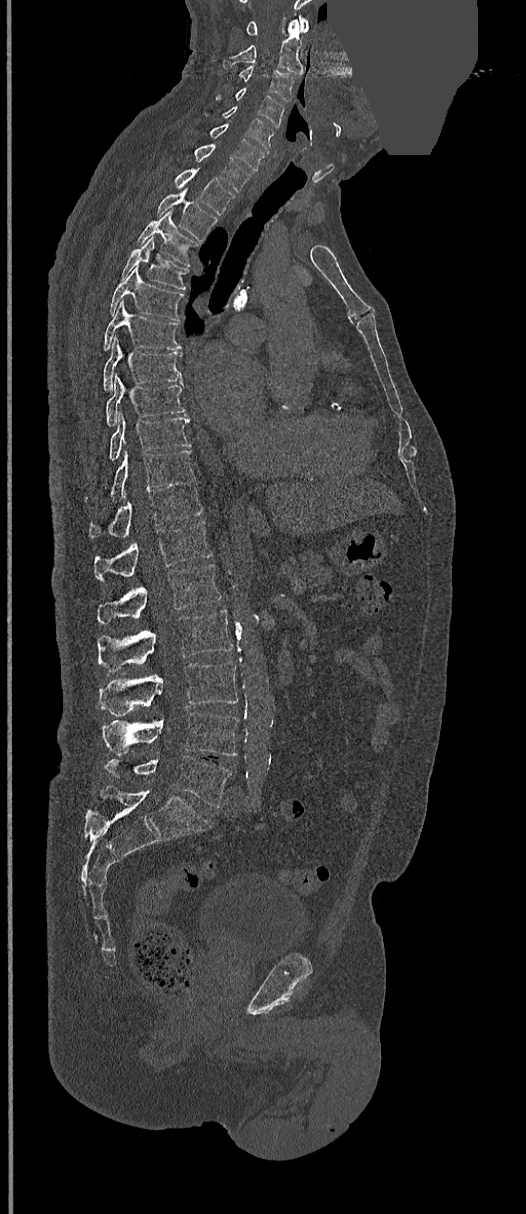 CT. sagittal reformat. the image spans 368 mm across. a region is masked with a constant gray value
Coordinates as <box>x1,y1,x2,y2</box>.
Vertebra bounding boxes:
- C1: <box>245,16,309,35</box>
- C2: <box>223,19,303,76</box>
- C3: <box>238,66,293,102</box>
- C4: <box>215,87,284,126</box>
- C5: <box>206,106,274,150</box>
- C6: <box>208,123,267,170</box>
- C7: <box>193,144,253,192</box>
- T1: <box>175,169,234,213</box>
- T2: <box>156,184,218,242</box>
- T3: <box>137,209,199,266</box>
- T4: <box>120,237,189,289</box>
- T5: <box>110,266,183,320</box>
- T6: <box>103,301,180,350</box>
- T7: <box>103,339,182,390</box>
- T8: <box>106,376,186,426</box>
- T9: <box>109,413,190,460</box>
- T10: <box>84,450,194,502</box>
- T11: <box>88,480,201,538</box>
- T12: <box>94,521,212,582</box>
- L1: <box>97,564,220,623</box>
- L2: <box>97,610,232,672</box>
- L3: <box>100,661,237,716</box>
- L4: <box>103,711,237,756</box>
- L5: <box>106,756,232,808</box>